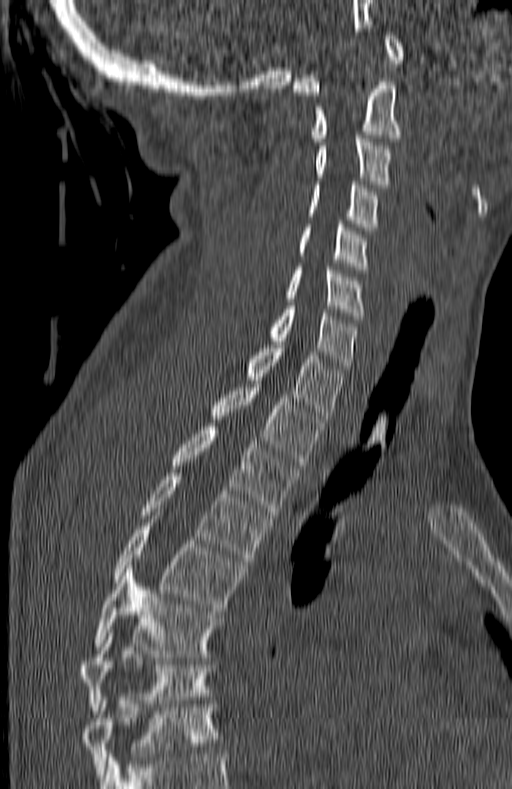
CT, spine · sagittal view · 180 mm across the image. Boxes: x1:y1:x2:y2 in pixels. The highest labeled vertebra in this scan is C1; the lowest is T7. Vertebrae labeled: C1 at 293:32:404:95, C2 at 311:82:401:141, C3 at 314:135:390:184, C4 at 308:181:378:227, C5 at 300:224:367:269, C6 at 288:267:364:319, C7 at 271:306:355:369, T1 at 248:341:343:419, T2 at 211:384:324:465, T3 at 172:427:296:515, T4 at 140:473:273:564, T5 at 115:516:242:611, T6 at 95:569:219:657, T7 at 78:633:211:710.